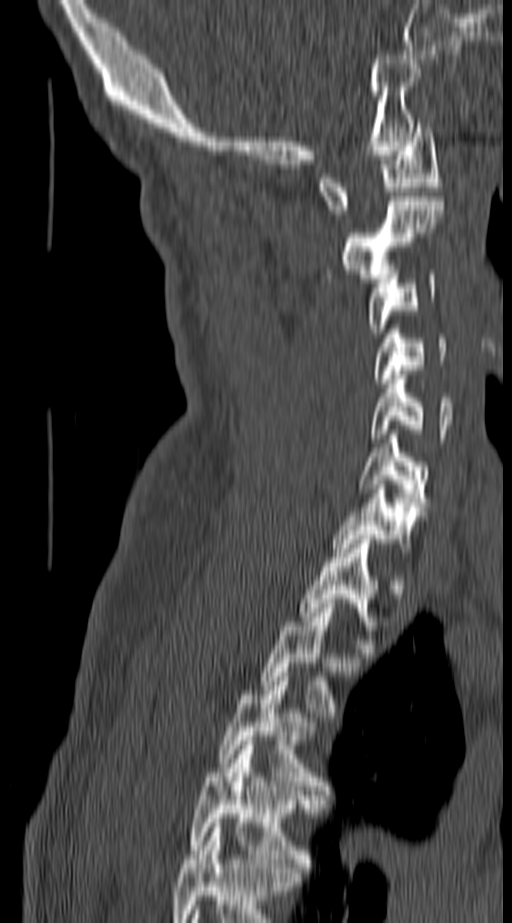
Spine computed tomography · sagittal view · Bone window (WL 400, WW 1800) · the image spans 140 mm across
Each box is [x1, y1, x2, y2] in pixels: top-left corner, then bottom-right corner.
Labels in this scan begin with C1 at the top and end with T4 at the bottom.
{"vertebrae":{"T4":[192,741,315,868],"T3":[221,672,326,794],"T2":[259,599,359,717],"T1":[301,535,377,648],"C7":[334,480,424,548],"C6":[359,430,428,511],"C5":[371,370,454,442],"C4":[374,329,447,383],"C3":[367,270,436,333],"C2":[341,201,443,282],"C1":[320,123,441,214]}}